Spine computed tomography — 140 mm wide — sagittal reformat — bone window — 512x933 px — a portion of the image is blanked out (constant pixel value)
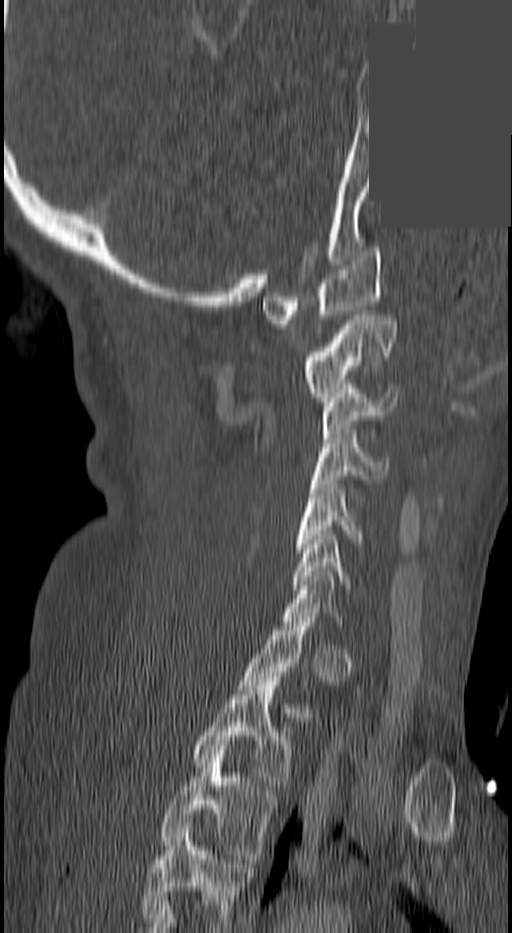

Each box given as x1,y1,x2,y2. Not every vertebra on this slice has a box: a vertebra is boxed only from the first to the last slice where its cross-section is at least a third of its largest, and this slice is outside that range for at least one of them. This scan's labels start at C1 at the top and end at T3 at the bottom. The labeled vertebrae in this slice are: C1 at x1=262, y1=247, x2=381, y2=324, C2 at x1=302, y1=315, x2=395, y2=401, C3 at x1=322, y1=389, x2=399, y2=438, C4 at x1=312, y1=434, x2=384, y2=488, C5 at x1=294, y1=485, x2=362, y2=552, C6 at x1=290, y1=535, x2=351, y2=589, T2 at x1=192, y1=677, x2=293, y2=790, T3 at x1=159, y1=750, x2=278, y2=858.